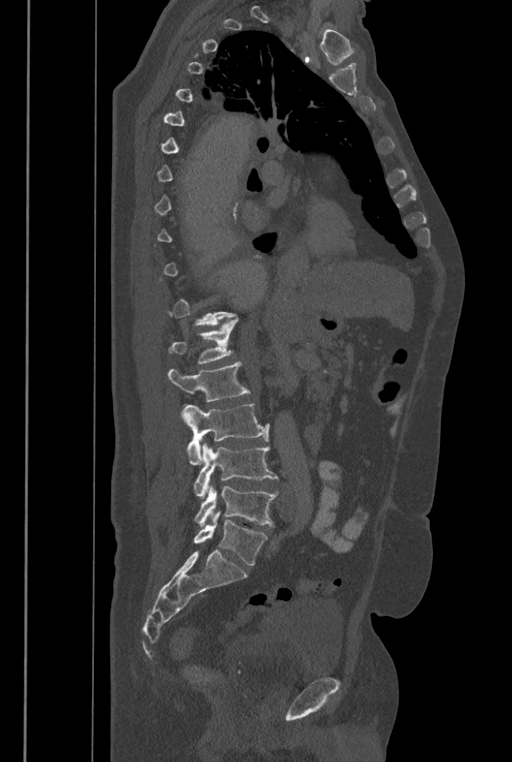 CT, spine — sagittal view
Boxes below are [x1, y1, x2, y2] in pixels.
Not every vertebra on this slice has a box: a vertebra is boxed only from the first to the last slice where its cross-section is at least a third of its largest, and this slice is outside that range for at least one of them.
The labels name a sixth lumbar vertebra for this spine: L6, after L5.
{"vertebrae":{"L6":[194,511,266,565],"L5":[194,486,277,527],"L4":[194,443,277,498],"L3":[181,403,269,465],"L2":[167,362,250,401],"L1":[169,318,238,363]}}